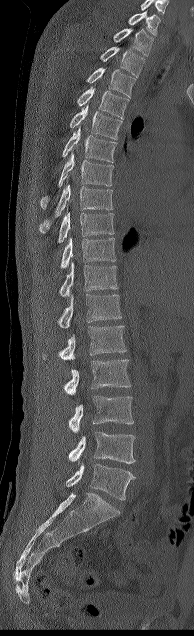

Spine CT · sagittal reformat · 194x636 px
In this scan, the topmost labeled vertebra is C7 and the lowest is L5.
<vertebrae><v name="L5" x1="66" y1="463" x2="135" y2="500"/><v name="L4" x1="68" y1="432" x2="135" y2="463"/><v name="L3" x1="68" y1="395" x2="133" y2="433"/><v name="L2" x1="64" y1="359" x2="130" y2="395"/><v name="L1" x1="59" y1="325" x2="126" y2="360"/><v name="T12" x1="58" y1="294" x2="121" y2="328"/><v name="T11" x1="59" y1="261" x2="118" y2="296"/><v name="T10" x1="60" y1="237" x2="115" y2="268"/><v name="T9" x1="57" y1="212" x2="114" y2="243"/><v name="T8" x1="39" y1="183" x2="113" y2="233"/><v name="T7" x1="40" y1="152" x2="113" y2="209"/><v name="T6" x1="62" y1="127" x2="116" y2="162"/><v name="T5" x1="70" y1="105" x2="122" y2="139"/><v name="T4" x1="77" y1="87" x2="128" y2="118"/><v name="T3" x1="86" y1="67" x2="135" y2="97"/><v name="T2" x1="100" y1="46" x2="144" y2="77"/><v name="T1" x1="113" y1="28" x2="153" y2="56"/><v name="C7" x1="128" y1="11" x2="160" y2="36"/></vertebrae>